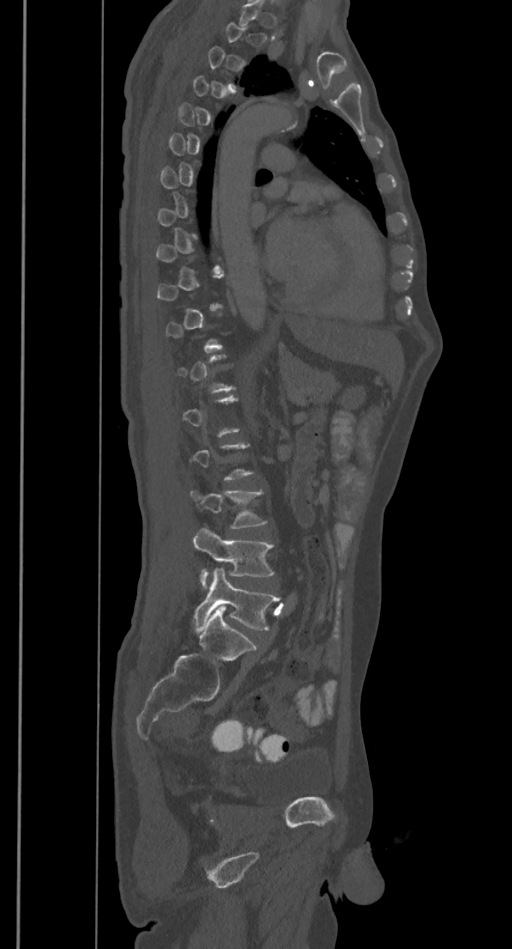 Spine CT — image width 385 mm — sagittal view — bone window. Bounding boxes as [x1, y1, x2, y2] in pixel coordinates.
Not every vertebra on this slice has a box: a vertebra is boxed only from the first to the last slice where its cross-section is at least a third of its largest, and this slice is outside that range for at least one of them.
L5: [194, 567, 279, 631]
L4: [193, 527, 274, 589]
L3: [190, 490, 267, 528]